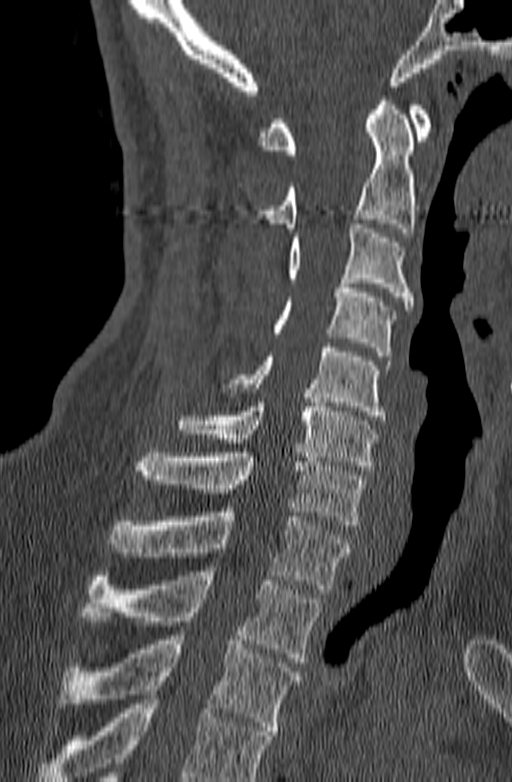

CT spine; sagittal reformat; 140 mm across the image; Bone window (WL 400, WW 1800)

Boxes: x1 y1 x2 y2 (pixel coords, space-separated). Vertebrae that run past the bottom of the scan are left unlabeled. The labeled vertebrae in this slice are: C1 at 257 101 432 154, C2 at 255 96 414 232, C3 at 287 219 413 310, C4 at 272 279 395 356, C5 at 222 343 391 420, C6 at 177 398 377 470, C7 at 133 453 366 525, T1 at 107 507 351 593, T2 at 82 571 320 662, T3 at 53 631 300 735.